CT. sagittal view. the image is 360 mm wide. bone-window reconstruction. scan covers 12 annotated vertebrae
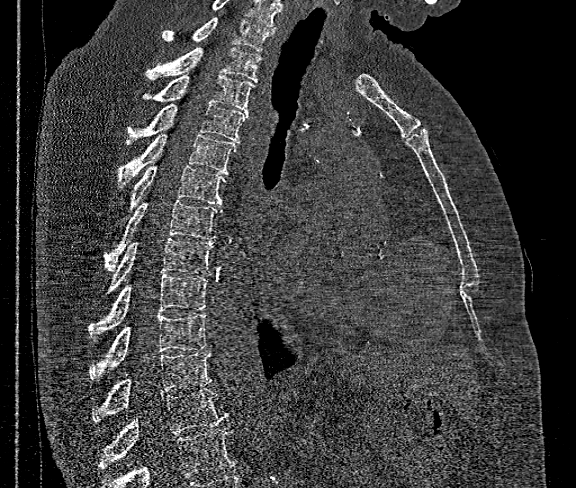
No box is given to a vertebra that the bottom edge of the scan cuts off.
In this scan, the topmost labeled vertebra is T1 and the lowest is T12.
<vertebrae><v name="T1" x1="161" y1="18" x2="273" y2="51"/><v name="T2" x1="145" y1="47" x2="261" y2="81"/><v name="T3" x1="144" y1="76" x2="254" y2="113"/><v name="T4" x1="126" y1="104" x2="246" y2="143"/><v name="T5" x1="118" y1="133" x2="235" y2="187"/><v name="T6" x1="129" y1="165" x2="224" y2="209"/><v name="T7" x1="106" y1="200" x2="221" y2="270"/><v name="T8" x1="108" y1="237" x2="213" y2="291"/><v name="T9" x1="89" y1="274" x2="208" y2="339"/><v name="T10" x1="89" y1="314" x2="207" y2="380"/><v name="T11" x1="91" y1="352" x2="212" y2="422"/><v name="T12" x1="99" y1="389" x2="227" y2="468"/></vertebrae>